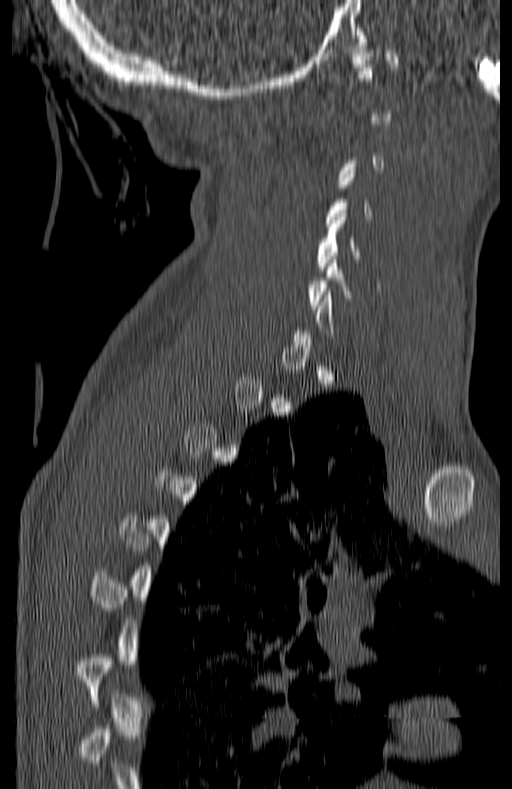 CT spine; sagittal view; W/L 1800/400 HU. Coordinates as <box>x1,y1,x2,y2</box>.
Not every vertebra on this slice has a box: a vertebra is boxed only from the first to the last slice where its cross-section is at least a third of its largest, and this slice is outside that range for at least one of them.
C5: <box>317,210,361,269</box>
C6: <box>308,256,353,308</box>